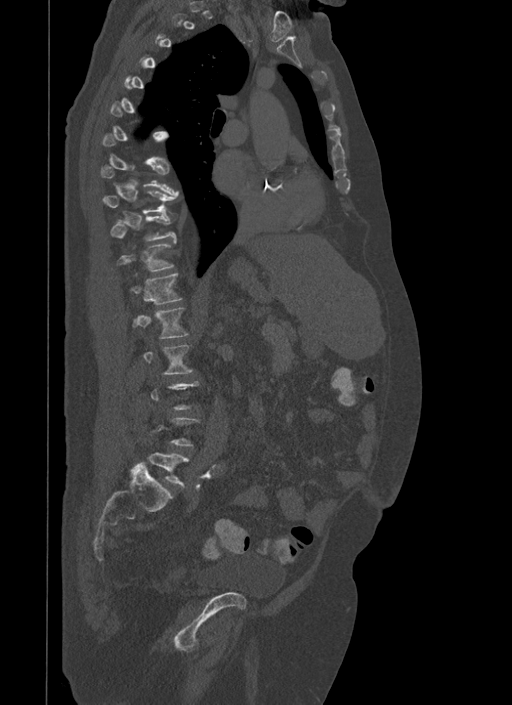
Computed tomography of the spine. sagittal view. Coordinates as <box>x1,y1,x2,y2</box>.
A vertebra is boxed only from the first to the last slice where its cross-section is at least a third of its largest; slices outside that range leave it without a box.
L1: <box>132,308,188,338</box>
T12: <box>132,273,181,304</box>
T11: <box>117,241,175,271</box>
T10: <box>109,212,178,241</box>